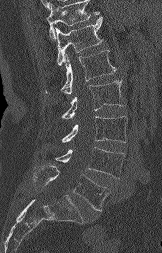

CT — sagittal view — bone-window reconstruction. Boxes are (x1, y1, x2, y2) in pixels.
A vertebra cut off by the top edge of the scan is not labeled and has no box.
T12: (55, 17, 102, 65)
L1: (46, 50, 116, 94)
L2: (62, 80, 124, 119)
L3: (62, 116, 127, 142)
L4: (55, 147, 124, 178)
L5: (33, 164, 108, 210)